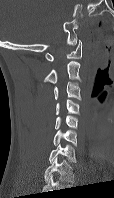 Spine computed tomography. sagittal view. bone-window reconstruction. 114 mm image width
Each box given as x1,y1,x2,y2.
This scan's labels start at C1 at the top and end at C7 at the bottom.
| vertebra | x1 | y1 | x2 | y2 |
|---|---|---|---|---|
| C1 | 45 | 40 | 82 | 61 |
| C2 | 43 | 61 | 80 | 83 |
| C3 | 54 | 82 | 81 | 100 |
| C4 | 55 | 99 | 79 | 115 |
| C5 | 55 | 115 | 77 | 129 |
| C6 | 53 | 129 | 77 | 146 |
| C7 | 48 | 144 | 76 | 163 |